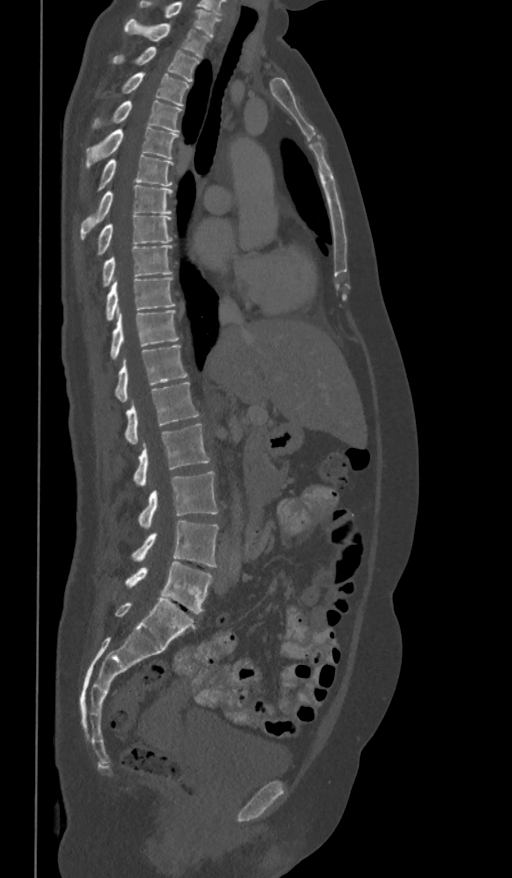 CT, spine — sagittal view — W/L 1800/400 HU

Bounding boxes as [x1, y1, x2, y2] in pixel coordinates. The highest labeled vertebra in this scan is T1; the lowest is L5. The labeled vertebrae in this slice are: T1 at [125, 19, 210, 58], T2 at [112, 47, 199, 82], T3 at [119, 73, 190, 106], T4 at [92, 101, 182, 132], T5 at [85, 126, 177, 170], T6 at [96, 154, 173, 192], T7 at [81, 185, 172, 239], T8 at [95, 214, 172, 258], T9 at [102, 246, 172, 287], T10 at [105, 277, 176, 322], T11 at [109, 310, 179, 360], T12 at [115, 345, 187, 401], L1 at [125, 382, 199, 443], L2 at [133, 423, 210, 485], L3 at [137, 471, 219, 527], L4 at [130, 521, 219, 567], L5 at [125, 562, 213, 613].